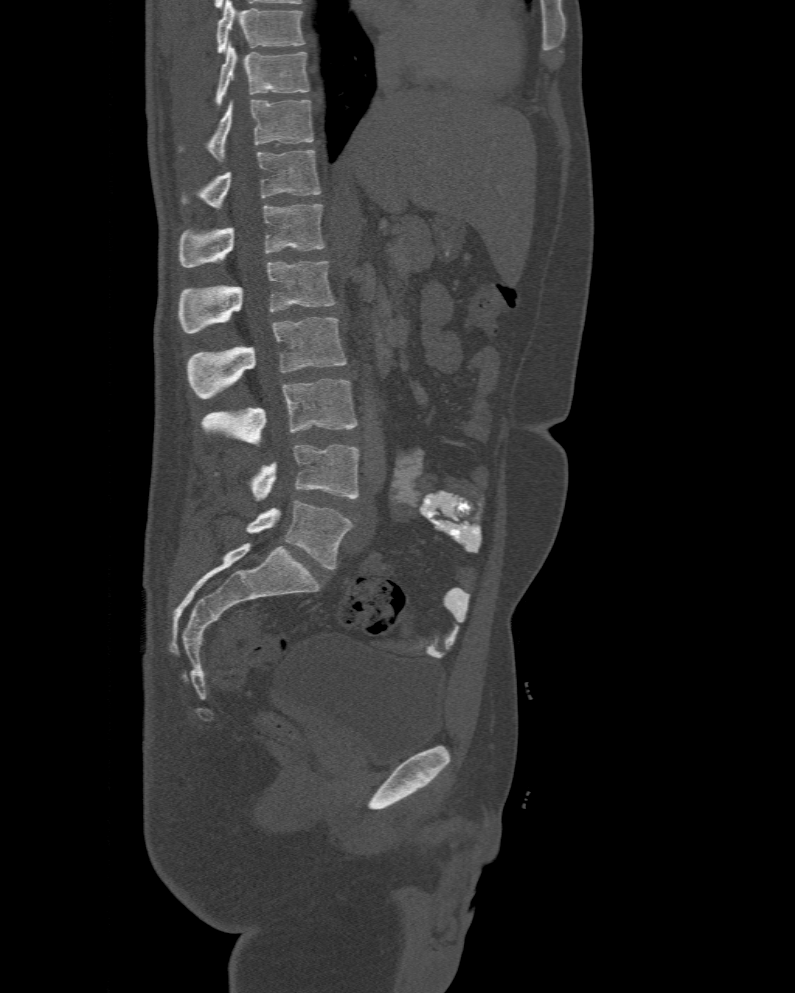

Computed tomography of the spine · sagittal view · image 477 mm wide
Each box is [x1, y1, x2, y2] in pixels: top-left corner, then bottom-right corner.
This scan's labels start at T10 at the top and end at L6 at the bottom.
In these labels the spine has an L6, a sixth lumbar vertebra below L5.
{"vertebrae":{"T10":[213,45,310,107],"T11":[179,100,314,161],"T12":[182,150,320,208],"L1":[179,203,324,267],"L2":[179,260,336,332],"L3":[186,317,345,398],"L4":[202,378,358,447],"L5":[252,445,359,501],"L6":[247,500,353,569]}}